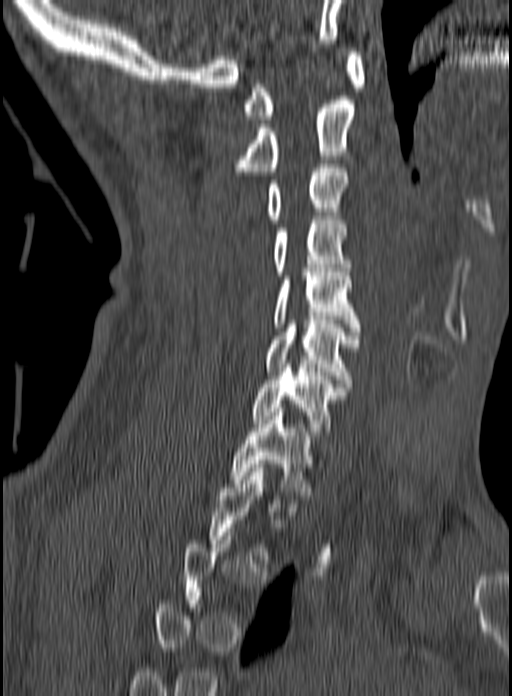
Computed tomography of the spine. sagittal reformat
Each box is [x1, y1, x2, y2] in pixels: top-left corner, then bottom-right corner.
Not every vertebra on this slice has a box: a vertebra is boxed only from the first to the last slice where its cross-section is at least a third of its largest, and this slice is outside that range for at least one of them.
{"vertebrae":{"C1":[243,52,365,119],"C2":[236,100,354,171],"C3":[267,164,349,223],"C4":[273,216,353,275],"C5":[273,268,360,331],"C6":[264,320,359,383],"C7":[251,364,346,435],"T1":[228,408,313,495]}}